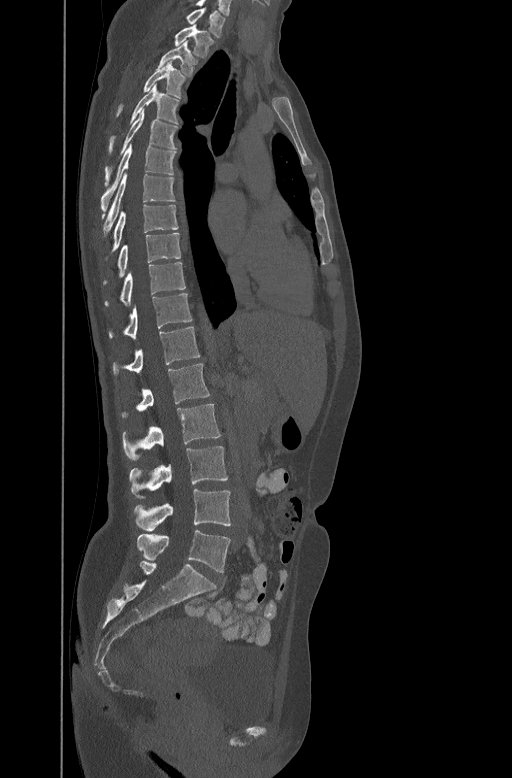

Spine computed tomography. sagittal view. 512x778 px
Each box is [x1, y1, x2, y2] in pixels: top-left corner, then bottom-right corner.
{"vertebrae":{"C7":[187,8,225,36],"T1":[175,25,212,55],"T2":[158,41,197,75],"T3":[119,60,183,110],"T4":[109,85,179,150],"T5":[105,109,176,184],"T6":[100,142,176,210],"T7":[103,172,175,231],"T8":[105,203,178,258],"T9":[103,231,180,282],"T10":[104,261,186,305],"T11":[109,292,193,337],"T12":[112,325,199,374],"L1":[120,363,210,418],"L2":[122,404,221,460],"L3":[129,446,227,498],"L4":[133,489,230,531],"L5":[136,530,230,572]}}